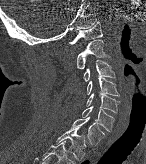
Spine CT. sagittal view
Boxes are (x1, y1, x2, y2) in pixels.
C1: (69, 22, 102, 45)
C2: (76, 40, 110, 69)
C3: (83, 60, 115, 81)
C4: (86, 76, 119, 96)
C5: (86, 93, 119, 112)
C6: (81, 106, 113, 131)
C7: (70, 117, 105, 146)
T1: (55, 127, 86, 161)